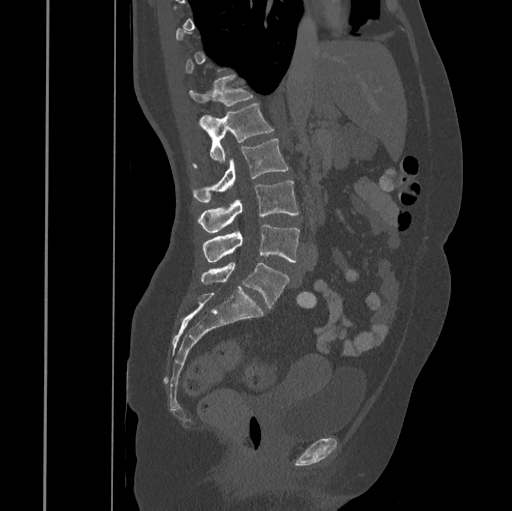
CT spine · sagittal view · bone window · 512x511 px
A vertebra is boxed only from the first to the last slice where its cross-section is at least a third of its largest; slices outside that range leave it without a box.
<vertebrae><v name="L5" x1="201" y1="262" x2="289" y2="308"/><v name="L4" x1="202" y1="224" x2="299" y2="262"/><v name="L3" x1="198" y1="180" x2="299" y2="232"/><v name="L2" x1="193" y1="139" x2="289" y2="202"/><v name="L1" x1="199" y1="104" x2="274" y2="163"/><v name="T12" x1="190" y1="75" x2="252" y2="106"/></vertebrae>